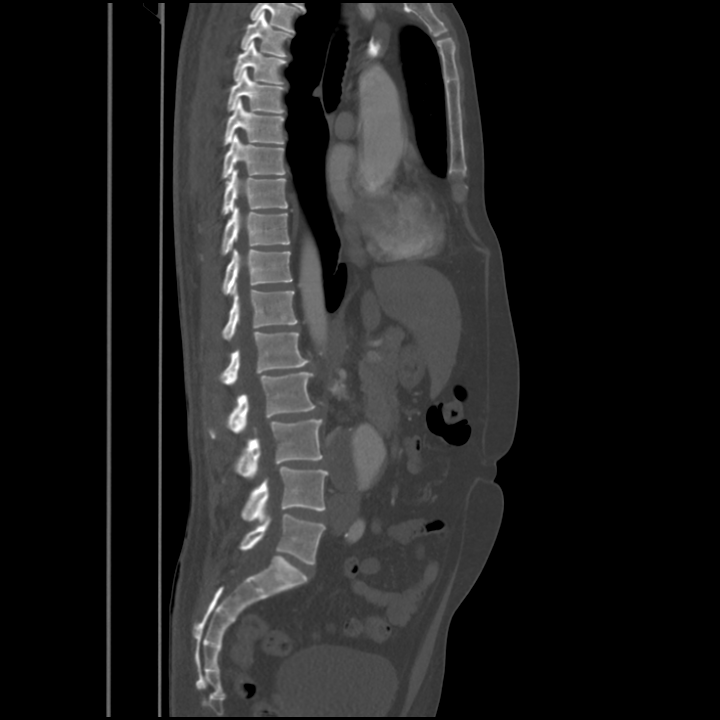

Spine computed tomography — sagittal view — 563 mm image width — Bone window (WL 400, WW 1800). Each box given as x1,y1,x2,y2.
T4: x1=241, y1=11, x2=292, y2=57
T5: x1=233, y1=40, x2=286, y2=84
T6: x1=227, y1=70, x2=284, y2=113
T7: x1=224, y1=100, x2=284, y2=145
T8: x1=222, y1=134, x2=285, y2=178
T9: x1=223, y1=170, x2=287, y2=214
T10: x1=221, y1=208, x2=289, y2=255
T11: x1=223, y1=248, x2=292, y2=294
T12: x1=222, y1=284, x2=297, y2=341
L1: x1=220, y1=331, x2=309, y2=384
L2: x1=209, y1=372, x2=315, y2=438
L3: x1=235, y1=420, x2=323, y2=477
L4: x1=242, y1=467, x2=328, y2=521
L5: x1=239, y1=514, x2=325, y2=564